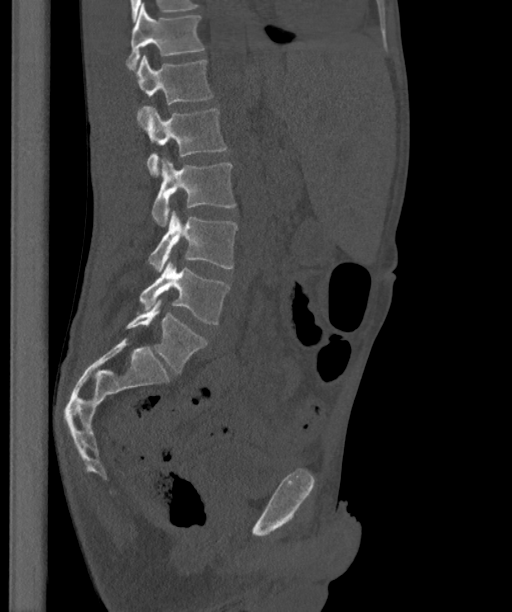
Spine CT; sagittal view; Bone window (WL 400, WW 1800); image width 363 mm; 512x612 px

Each vertebra maps to its box as [x1, y1, x2, y2], the pixel coordinates of its top-left and bottom-right corners.
These labels give the spine a sixth lumbar vertebra, L6, below L5.
{"vertebrae":{"T12":[126,3,203,69],"L1":[134,55,213,120],"L2":[142,105,226,177],"L3":[152,157,236,226],"L4":[148,209,237,272],"L5":[139,259,229,324],"L6":[126,300,206,372]}}